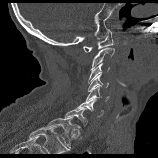

Spine computed tomography — sagittal view — 158x158 px
Boxes are given in columns x1, y1, x2, y2, the pixel coordinates of their top-left and bottom-right corners.
| vertebra | x1 | y1 | x2 | y2 |
|---|---|---|---|---|
| C1 | 83 | 29 | 114 | 52 |
| C2 | 91 | 48 | 114 | 69 |
| C3 | 88 | 63 | 109 | 85 |
| C4 | 88 | 74 | 108 | 91 |
| C5 | 86 | 85 | 109 | 101 |
| C6 | 77 | 98 | 103 | 117 |
| C7 | 65 | 108 | 87 | 126 |
| T1 | 45 | 118 | 81 | 149 |